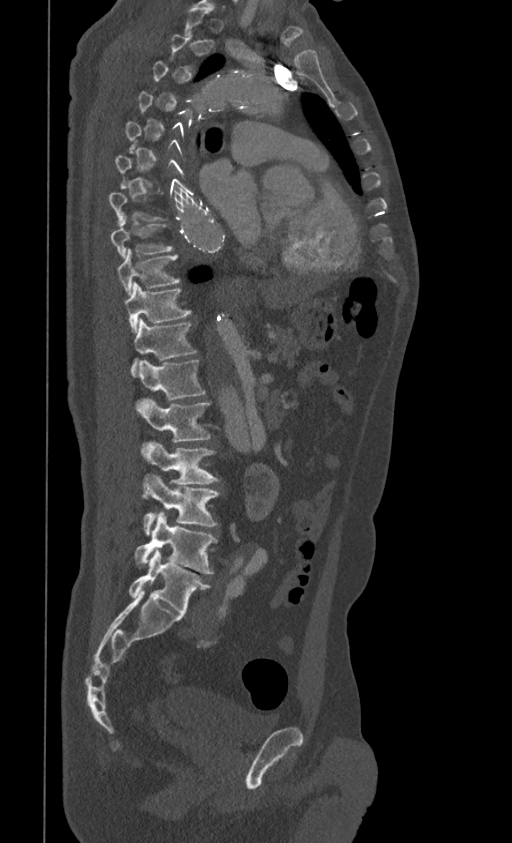 CT spine · sagittal view · Bone window (WL 400, WW 1800) · 512x843 px · 399 mm wide
Box edges are left/top/right/bottom in pixels. Not every vertebra on this slice has a box: a vertebra is boxed only from the first to the last slice where its cross-section is at least a third of its largest, and this slice is outside that range for at least one of them. The labeled vertebrae in this slice are: T8 at left=110, top=216, right=173, bottom=257, T9 at left=117, top=247, right=180, bottom=296, T10 at left=124, top=282, right=191, bottom=333, T11 at left=131, top=319, right=196, bottom=375, T12 at left=138, top=359, right=205, bottom=400, L1 at left=137, top=400, right=211, bottom=441, L2 at left=142, top=441, right=220, bottom=499, L3 at left=143, top=474, right=221, bottom=535, L4 at left=135, top=512, right=217, bottom=574, L5 at left=129, top=550, right=209, bottom=615.